CT spine; sagittal view; scan covers 16 annotated vertebrae
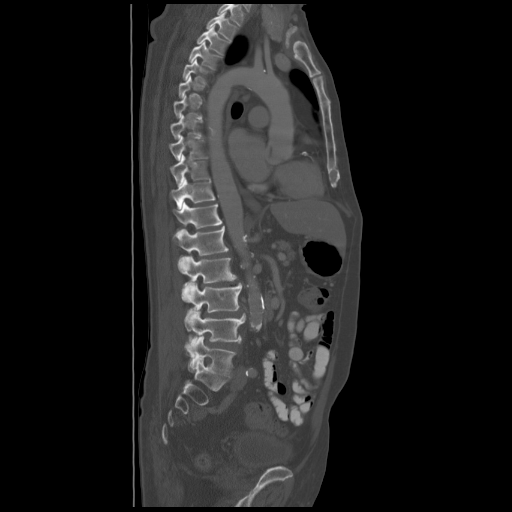 In the table, x1 and y1 are a box's top-left corner and x2 and y2 its bottom-right corner, in pixels.
A vertebra gets a box only on the slices from the first to the last where its cross-section is at least a third of its largest; on a slice outside that range it gets none.
This scan's labels start at T2 at the top and end at L5 at the bottom.
| vertebra | x1 | y1 | x2 | y2 |
|---|---|---|---|---|
| T2 | 206 | 12 | 238 | 41 |
| T3 | 197 | 26 | 229 | 54 |
| T4 | 189 | 43 | 222 | 68 |
| T5 | 183 | 59 | 211 | 84 |
| T8 | 170 | 116 | 203 | 139 |
| T9 | 169 | 136 | 207 | 160 |
| T10 | 170 | 155 | 210 | 186 |
| T11 | 171 | 177 | 215 | 209 |
| T12 | 173 | 202 | 222 | 228 |
| L1 | 173 | 228 | 228 | 255 |
| L2 | 178 | 256 | 236 | 302 |
| L3 | 184 | 282 | 241 | 331 |
| L4 | 188 | 311 | 246 | 345 |
| L5 | 187 | 335 | 235 | 376 |